CT · Sagittal slice 130/250 · the image spans 250 mm across · bone window · 250x671 px · scan covers 19 annotated vertebrae
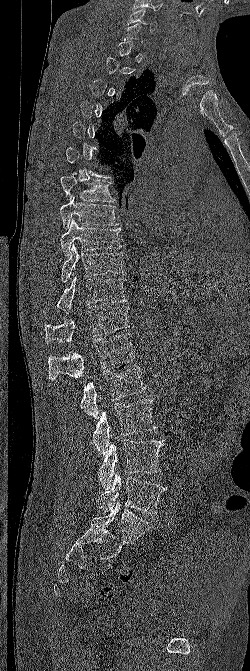

Boxes: x1:y1:x2:y2 in pixels.
A vertebra gets a box only on the slices from the first to the last where its cross-section is at least a third of its largest; on a slice outside that range it gets none.
Vertebra bounding boxes:
- C6: 127:8:158:33
- T7: 60:176:115:202
- T8: 60:196:118:229
- T9: 60:218:122:256
- T10: 61:244:123:282
- T11: 56:276:127:312
- T12: 45:306:129:344
- L1: 48:333:134:380
- L2: 79:366:145:419
- L3: 69:398:157:454
- L4: 98:439:164:490
- L5: 96:472:165:514